CT spine — Sagittal slice 350/512 — W/L 1800/400 HU — 512x1010 px
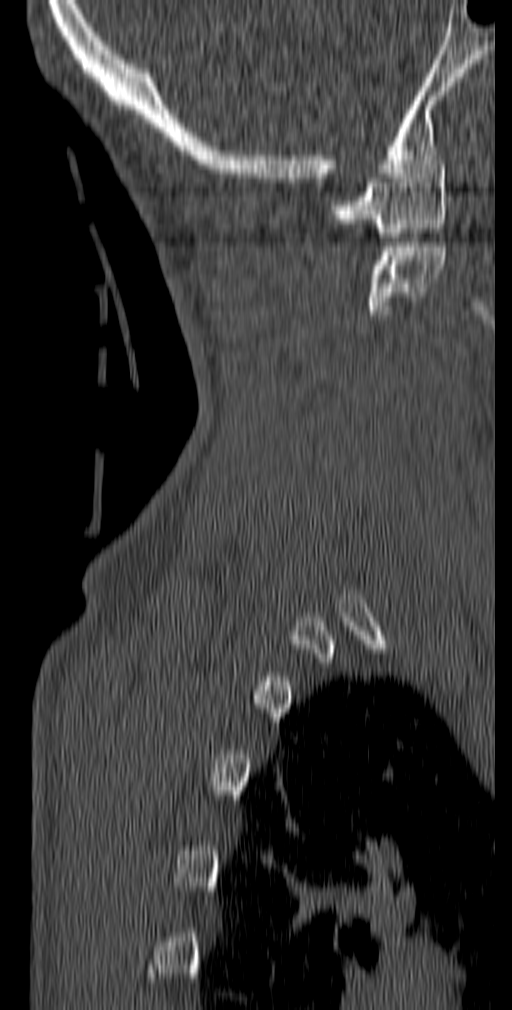
Bounding boxes as [x1, y1, x2, y2] in pixel coordinates. 2 vertebrae labeled — C1 at [331, 165, 447, 237]; C2 at [368, 242, 446, 314].